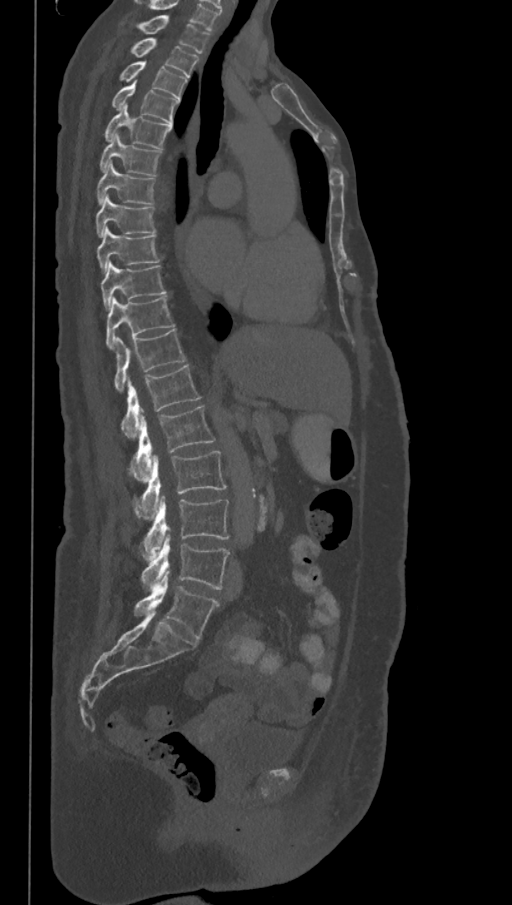
CT, spine; sagittal view; Bone window (WL 400, WW 1800); 512x905 px
Boxes: x1:y1:x2:y2 in pixels.
In this scan, the topmost labeled vertebra is T1 and the lowest is L6.
In these labels the spine has an L6, a sixth lumbar vertebra below L5.
L6: 135:571:219:640
L5: 140:536:230:590
L4: 142:496:228:561
L3: 135:451:227:519
L2: 129:406:214:480
L1: 122:364:201:437
T12: 114:329:185:391
T11: 106:296:174:350
T10: 101:262:167:311
T9: 97:227:160:273
T8: 96:194:156:238
T7: 96:162:156:204
T6: 99:133:162:176
T5: 103:105:171:149
T4: 111:81:180:124
T3: 118:61:187:99
T2: 129:38:198:77
T1: 133:15:209:53